Computed tomography of the spine. 390 mm across the image. sagittal view. bone window. some of the image was removed or blocked out with constant pixels
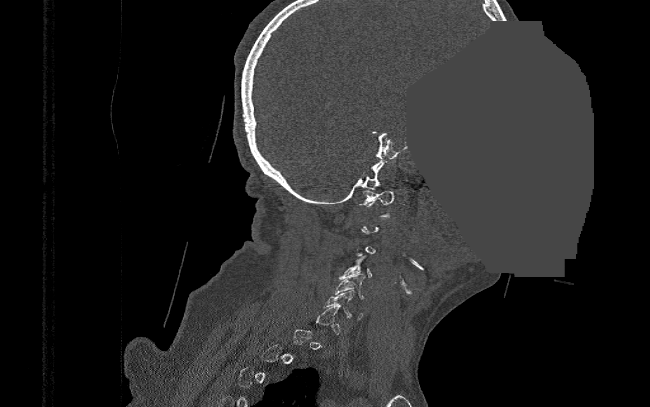

Boxes below are [x1, y1, x2, y2] in pixels.
A vertebra gets a box only on the slices from the first to the last where its cross-section is at least a third of its largest; on a slice outside that range it gets none.
{"vertebrae":{"C6":[324,289,363,319],"C5":[333,274,365,299],"C4":[338,255,372,279],"C1":[359,190,394,216]}}